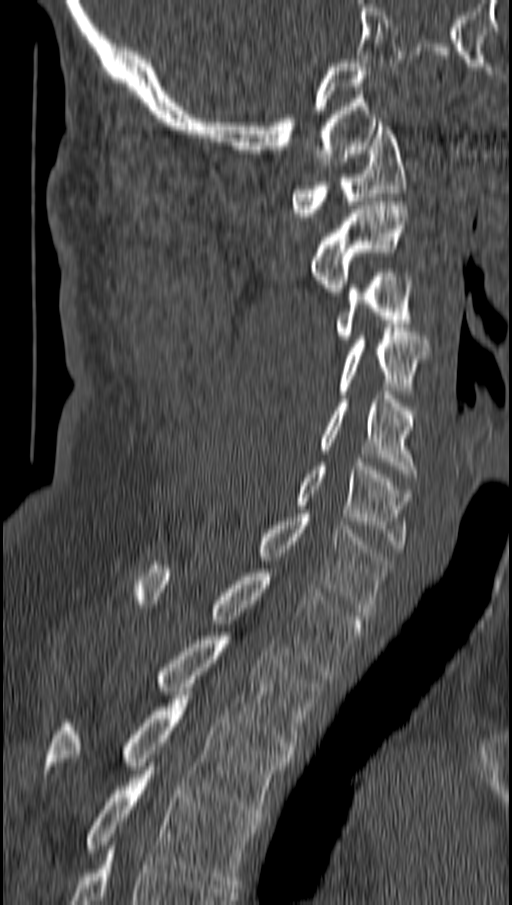
Spine computed tomography. sagittal view. Bone window (WL 400, WW 1800)

Coordinates as <box>x1,y1,x2,y2</box>.
C1: <box>292,122,405,216</box>
C2: <box>311,201,408,295</box>
C3: <box>336,273,411,343</box>
C4: <box>339,328,429,394</box>
C5: <box>320,391,417,477</box>
C6: <box>298,458,411,548</box>
C7: <box>260,514,389,615</box>
T1: <box>136,565,364,675</box>
T2: <box>159,636,319,754</box>
T3: <box>45,691,288,817</box>
T4: <box>86,766,259,888</box>